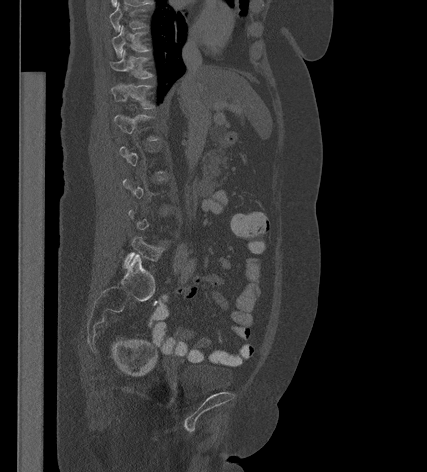

CT spine. sagittal view. bone window. the image is 427 mm wide

Coordinates as <box>x1,y1,x2,y2</box>. A vertebra gets a box only on the slices from the first to the last where its cross-section is at least a third of its largest; on a slice outside that range it gets none. Vertebrae labeled: T9 at <box>109,4,146,31</box>, T10 at <box>111,26,149,56</box>, T11 at <box>110,50,152,79</box>, T12 at <box>111,84,154,108</box>, L5 at <box>124,236,164,267</box>.